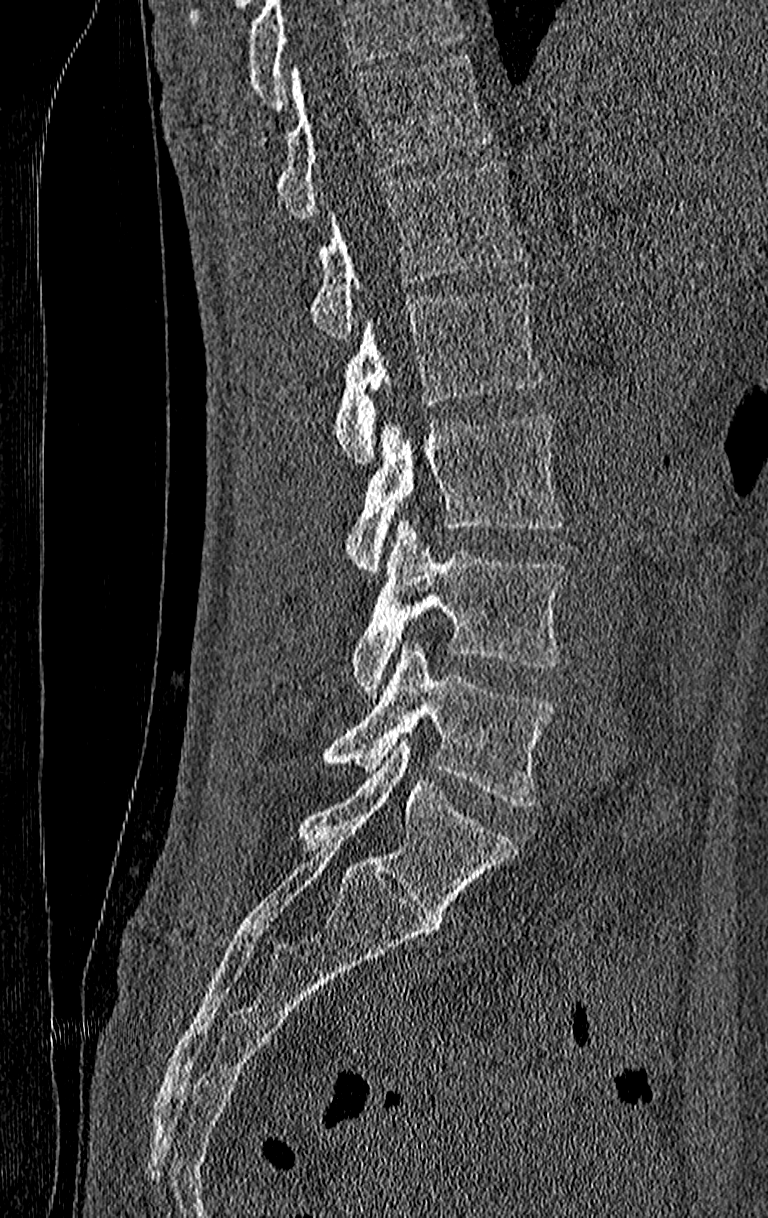
CT, spine. sagittal reformat. bone-window reconstruction. 210 mm image width. 768x1218 px. Boxes: x1:y1:x2:y2 in pixels. Vertebrae that run past the top of the scan are left unlabeled. This scan's labels start at T11 at the top and end at L4 at the bottom. 6 vertebrae labeled — T11 at 277:56:491:220; T12 at 310:161:521:340; L1 at 335:283:543:465; L2 at 346:415:565:570; L3 at 353:520:565:695; L4 at 324:640:554:804.